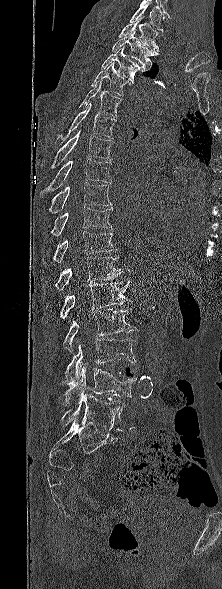 CT, spine. sagittal reformat. bone window. the image spans 222 mm across
Columns x1, y1, x2, y2 give each box's top-left and bottom-right pixels.
Labels in this scan begin with T1 at the top and end with L5 at the bottom.
| vertebra | x1 | y1 | x2 | y2 |
|---|---|---|---|---|
| T1 | 118 | 17 | 160 | 51 |
| T2 | 112 | 29 | 159 | 69 |
| T3 | 101 | 46 | 147 | 81 |
| T4 | 90 | 62 | 133 | 96 |
| T5 | 79 | 80 | 122 | 116 |
| T6 | 55 | 103 | 116 | 144 |
| T7 | 50 | 129 | 112 | 168 |
| T8 | 42 | 159 | 111 | 194 |
| T9 | 48 | 182 | 111 | 213 |
| T10 | 51 | 207 | 112 | 236 |
| T11 | 53 | 231 | 117 | 262 |
| T12 | 42 | 257 | 123 | 292 |
| L1 | 59 | 279 | 131 | 318 |
| L2 | 63 | 308 | 137 | 353 |
| L3 | 62 | 338 | 135 | 384 |
| L4 | 63 | 364 | 137 | 406 |
| L5 | 60 | 394 | 124 | 431 |